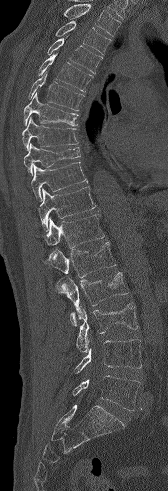 Spine computed tomography. sagittal view. 168x491 px. image width 168 mm
Coordinates as <box>x1,y1,x2,y2</box>.
Vertebrae that run past the top of the scan are left unlabeled.
Vertebra bounding boxes:
- L5: <box>72,375,140,410</box>
- L4: <box>73,339,141,373</box>
- L3: <box>76,302,138,352</box>
- L2: <box>54,272,128,325</box>
- L1: <box>44,242,116,277</box>
- T12: <box>44,215,104,248</box>
- T11: <box>38,187,96,231</box>
- T10: <box>31,162,88,201</box>
- T9: <box>23,143,80,174</box>
- T8: <box>22,117,78,150</box>
- T7: <box>23,92,78,126</box>
- T6: <box>28,71,84,111</box>
- T5: <box>37,53,93,91</box>
- T4: <box>47,37,102,73</box>
- T3: <box>55,21,111,55</box>